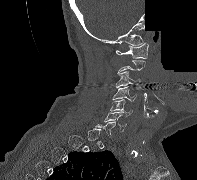 CT, spine. sagittal view. bone-window reconstruction. 197x180 px. some of the image was removed or blocked out with constant pixels
A vertebra gets a box only on the slices from the first to the last where its cross-section is at least a third of its largest; on a slice outside that range it gets none.
<vertebrae><v name="C1" x1="116" y1="43" x2="148" y2="58"/><v name="C3" x1="116" y1="71" x2="140" y2="88"/><v name="C4" x1="112" y1="86" x2="136" y2="101"/><v name="C5" x1="110" y1="99" x2="132" y2="116"/><v name="C6" x1="104" y1="112" x2="126" y2="131"/></vertebrae>